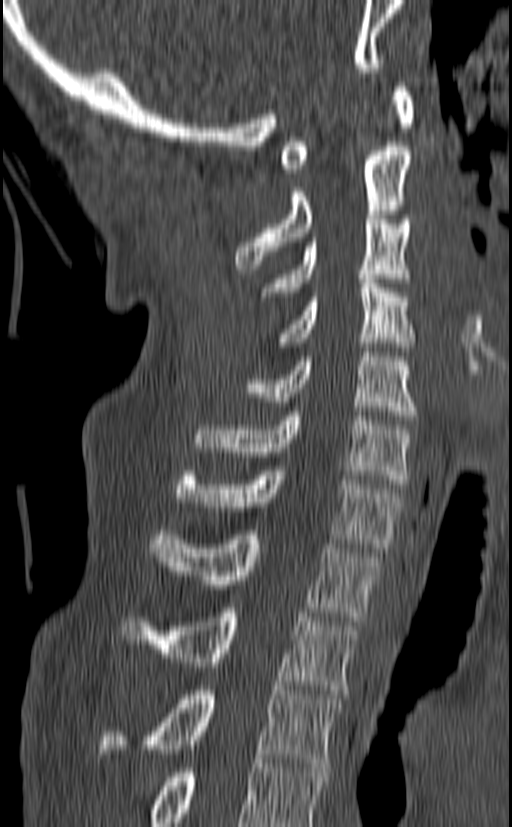

Spine CT — the image is 140 mm wide — sagittal view
Boxes: x1:y1:x2:y2 in pixels.
The highest labeled vertebra in this scan is C1; the lowest is T3.
Vertebra bounding boxes:
- T3: 99:686:341:767
- T2: 120:608:359:694
- T1: 150:530:381:621
- C7: 177:466:403:552
- C6: 192:411:414:488
- C5: 245:347:417:420
- C4: 279:274:414:346
- C3: 260:215:411:301
- C2: 235:146:412:269
- C1: 280:82:414:173